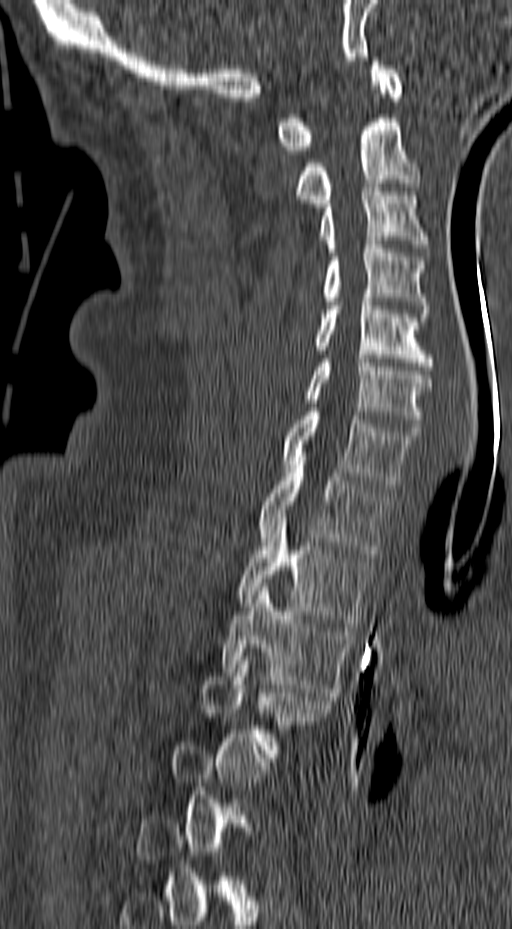

Spine CT · sagittal view · 512x929 px

Boxes below are [x1, y1, x2, y2] in pixels.
Not every vertebra on this slice has a box: a vertebra is boxed only from the first to the last slice where its cross-section is at least a third of its largest, and this slice is outside that range for at least one of them.
{"vertebrae":{"T4":[202,660,334,753],"T3":[223,583,352,696],"T2":[236,514,372,627],"T1":[259,461,388,557],"C7":[282,408,418,488],"C6":[304,359,432,431],"C5":[314,294,433,370],"C4":[321,241,431,317],"C3":[317,183,431,252],"C2":[295,118,421,207],"C1":[277,57,401,154]}}